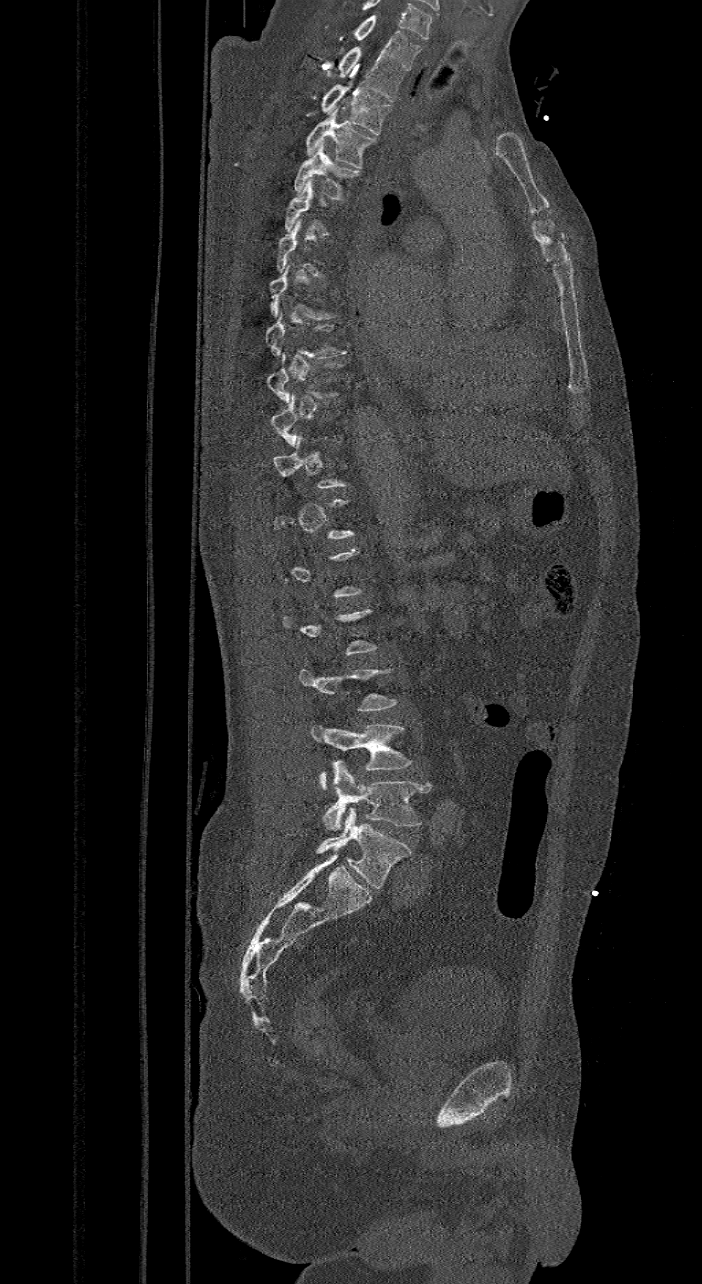 Spine computed tomography — sagittal reformat — bone window — 702x1284 px. Boxes are (x1, y1, x2, y2) in pixels.
Each vertebra is boxed only on the slices from the first to the last where its cross-section reaches a third of its largest, so a slice outside that range leaves it unboxed.
In these labels the spine has an L6, a sixth lumbar vertebra below L5.
Vertebra bounding boxes:
- C7: (323, 15, 422, 69)
- T1: (337, 46, 403, 102)
- T2: (319, 82, 392, 134)
- T3: (304, 109, 377, 168)
- T4: (293, 143, 361, 200)
- T8: (264, 310, 347, 358)
- L4: (310, 724, 412, 789)
- L5: (323, 761, 431, 830)
- L6: (317, 808, 410, 888)